Spine CT. sagittal view
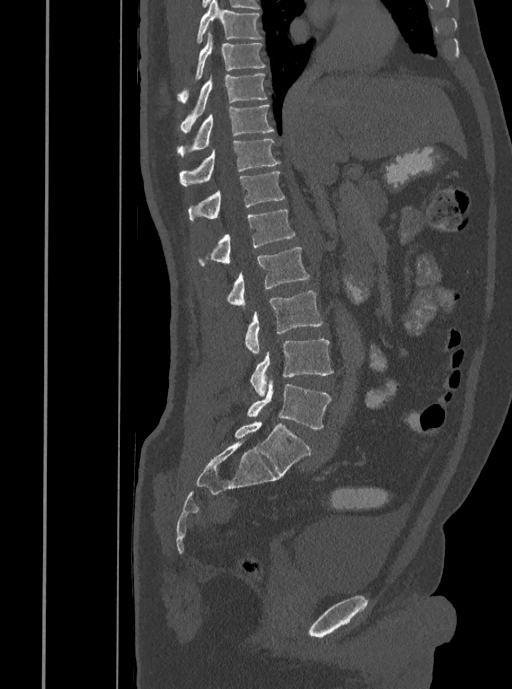
Boxes: x1 y1 x2 y2 (pixel coords, space-separated).
Vertebra bounding boxes:
- T7: 196 0 262 44
- T8: 177 33 265 103
- T9: 179 73 267 132
- T10: 177 104 274 156
- T11: 179 139 280 186
- T12: 188 171 285 223
- L1: 199 210 295 266
- L2: 227 247 309 307
- L3: 245 291 323 354
- L4: 250 339 333 395
- L5: 247 379 331 429